Spine computed tomography; sagittal view; the image is 230 mm wide; W/L 1800/400 HU; scan covers 14 annotated vertebrae
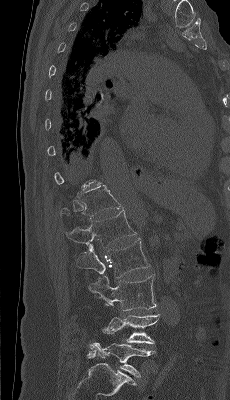 Coordinates as <box>x1,y1,x2,y2</box>.
A vertebra is boxed only from the first to the last slice where its cross-section is at least a third of its largest; slices outside that range leave it without a box.
L5: <box>90,343,155,377</box>
L4: <box>102,303,160,343</box>
L3: <box>89,274,156,310</box>
L2: <box>76,238,150,278</box>
L1: <box>66,209,136,247</box>
T12: <box>60,184,123,218</box>